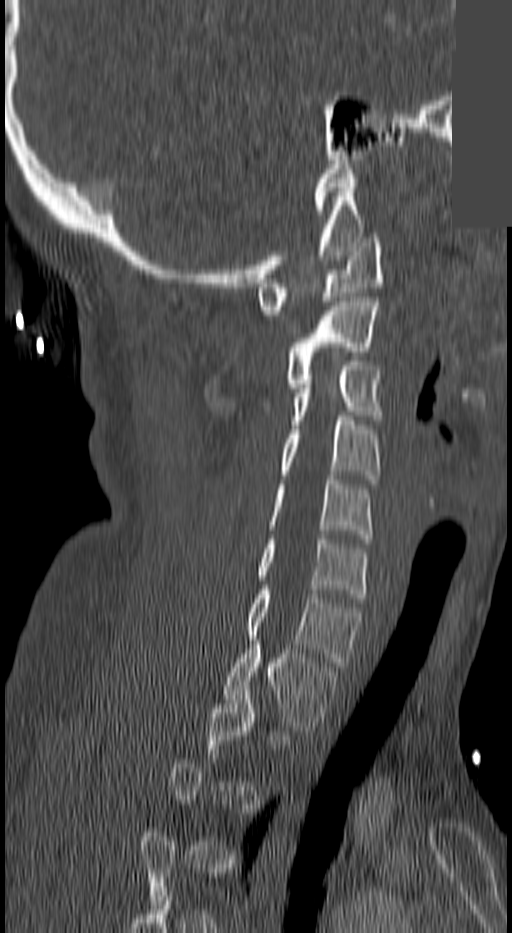

Computed tomography of the spine · sagittal reformat · 512x933 px · some of the image was removed or blocked out with constant pixels
Boxes: x1:y1:x2:y2 in pixels.
A vertebra gets a box only on the slices from the first to the last where its cross-section is at least a third of its largest; on a slice outside that range it gets none.
Vertebra bounding boxes:
- C1: 257:238:384:314
- C2: 283:302:377:388
- C3: 290:361:381:429
- C4: 279:416:381:484
- C5: 268:475:373:538
- C6: 257:539:366:602
- C7: 246:590:362:666
- T1: 224:640:337:735